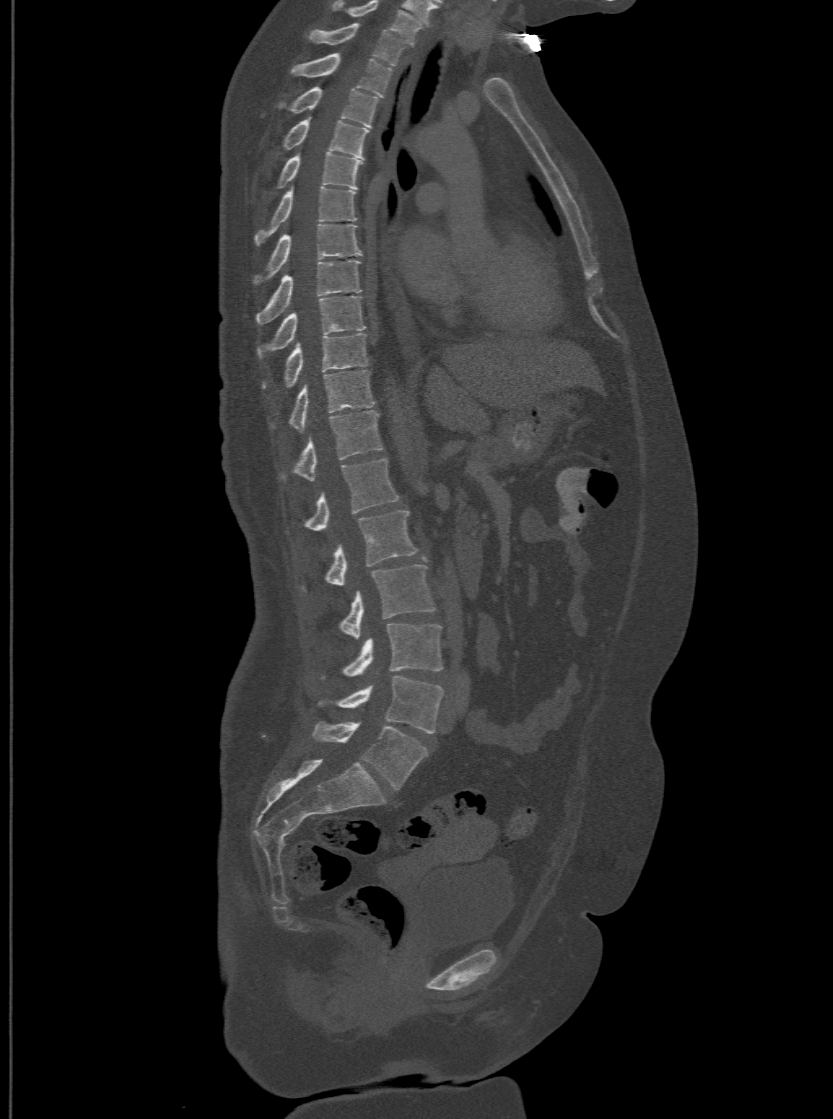
CT spine; sagittal reformat; Bone window (WL 400, WW 1800)
Each row gives a vertebra's box as x1, y1, x2, y2 in pixels: top-left corner, then bottom-right corner.
In this scan, the topmost labeled vertebra is T1 and the lowest is L6.
The labels name a sixth lumbar vertebra for this spine: L6, after L5.
| vertebra | x1 | y1 | x2 | y2 |
|---|---|---|---|---|
| T1 | 308 | 22 | 404 | 64 |
| T2 | 291 | 52 | 391 | 96 |
| T3 | 277 | 85 | 377 | 126 |
| T4 | 282 | 118 | 368 | 157 |
| T5 | 275 | 150 | 362 | 187 |
| T6 | 256 | 185 | 357 | 244 |
| T7 | 254 | 223 | 362 | 284 |
| T8 | 257 | 258 | 360 | 322 |
| T9 | 259 | 295 | 365 | 357 |
| T10 | 262 | 332 | 368 | 387 |
| T11 | 270 | 370 | 373 | 429 |
| T12 | 280 | 410 | 383 | 479 |
| L1 | 286 | 457 | 399 | 531 |
| L2 | 298 | 510 | 417 | 592 |
| L3 | 339 | 558 | 435 | 638 |
| L4 | 319 | 623 | 442 | 680 |
| L5 | 319 | 676 | 442 | 733 |
| L6 | 312 | 721 | 427 | 788 |